CT — Sagittal slice 257/512 — bone window — 673x603 px — scan covers 8 annotated vertebrae
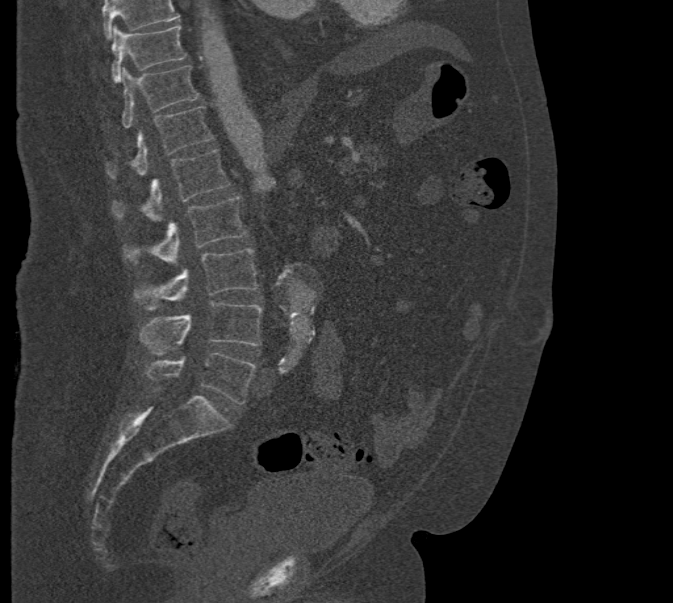
In the table, x1 and y1 are a box's top-left corner and x2 and y2 its bottom-right corner, in pixels.
Where the top of the scan cuts through a vertebra, that vertebra gets no label or box.
| vertebra | x1 | y1 | x2 | y2 |
|---|---|---|---|---|
| T10 | 112 | 26 | 187 | 82 |
| T11 | 121 | 66 | 199 | 128 |
| T12 | 105 | 106 | 213 | 178 |
| L1 | 112 | 149 | 229 | 221 |
| L2 | 122 | 196 | 246 | 264 |
| L3 | 133 | 249 | 258 | 309 |
| L4 | 139 | 302 | 262 | 355 |
| L5 | 146 | 352 | 257 | 404 |